CT, spine. 445 mm wide. sagittal plane, index 222
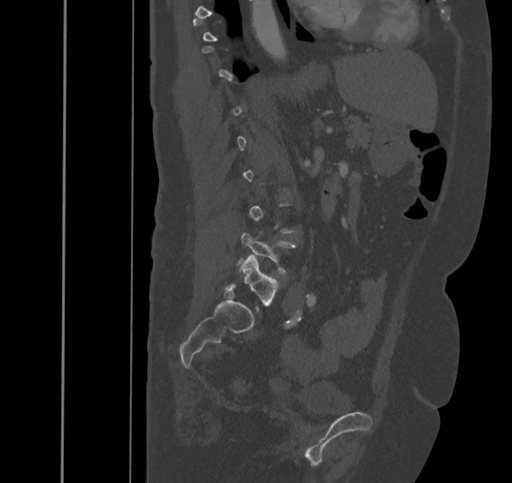 Boxes: x1:y1:x2:y2 in pixels.
A vertebra gets a box only on the slices from the first to the last where its cross-section is at least a third of its largest; on a slice outside that range it gets none.
L5: 225:255:279:306
L4: 240:233:296:274